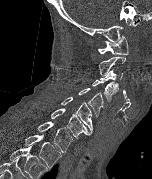

Computed tomography of the spine. sagittal view. bone-window reconstruction
Boxes below are [x1, y1, x2, y2] in pixels.
The highest labeled vertebra in this scan is C1; the lowest is T2.
{"vertebrae":{"T2":[24,135,61,167],"T1":[37,121,73,152],"C7":[50,108,91,137],"C6":[61,97,92,133],"C5":[79,88,103,116],"C4":[92,79,118,101],"C3":[99,69,123,81],"C2":[99,57,125,76],"C1":[97,34,128,55]}}